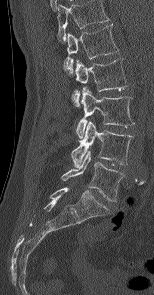

Computed tomography of the spine; sagittal view; bone window; 154x295 px; the image spans 154 mm across
Labels in this scan begin with L1 at the top and end with L5 at the bottom.
<vertebrae><v name="L1" x1="64" y1="24" x2="119" y2="72"/><v name="L2" x1="73" y1="58" x2="127" y2="106"/><v name="L3" x1="76" y1="86" x2="134" y2="138"/><v name="L4" x1="71" y1="121" x2="131" y2="167"/><v name="L5" x1="61" y1="150" x2="124" y2="201"/></vertebrae>